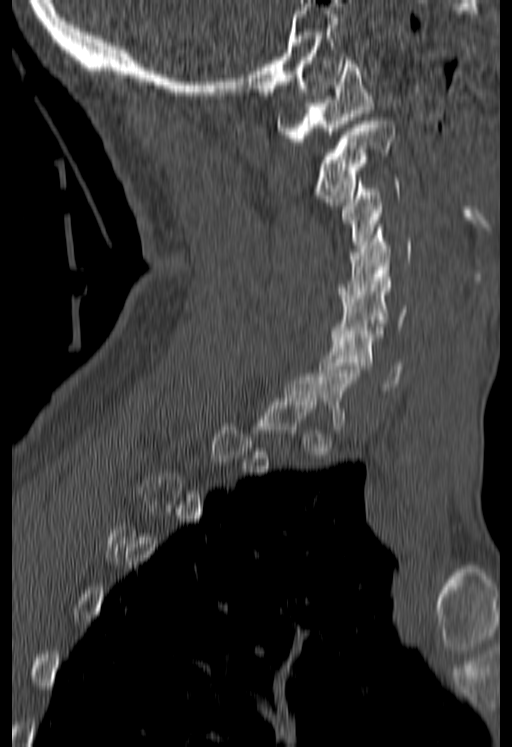 Spine computed tomography; sagittal reformat

Box edges are left/top/right/bottom in pixels.
A vertebra gets a box only on the slices from the first to the last where its cross-section is at least a third of its largest; on a slice outside that range it gets none.
| vertebra | x1 | y1 | x2 | y2 |
|---|---|---|---|---|
| C1 | 276 | 57 | 373 | 141 |
| C2 | 311 | 117 | 395 | 205 |
| C3 | 342 | 178 | 400 | 251 |
| C4 | 339 | 228 | 412 | 298 |
| C5 | 331 | 274 | 408 | 340 |
| C6 | 319 | 327 | 402 | 390 |